Spine CT — Sagittal slice 160/369 — scan covers 18 annotated vertebrae
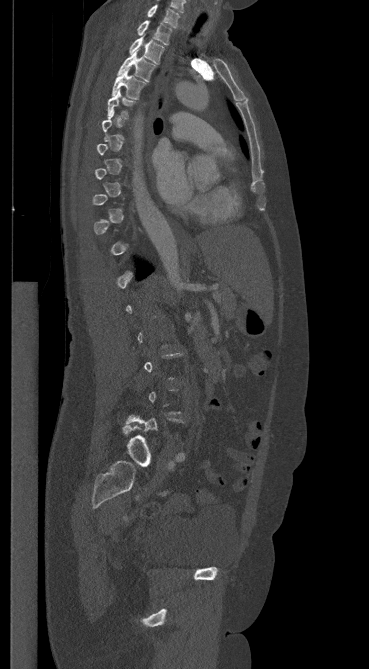
Each box is [x1, y1, x2, y2] in pixels: top-left corner, then bottom-right corner.
A vertebra is boxed only from the first to the last slice where its cross-section is at least a third of its largest; slices outside that range leave it without a box.
{"vertebrae":{"C7":[147,4,179,28],"T1":[137,20,171,44],"T2":[129,37,164,63],"T3":[118,51,155,81],"T4":[112,68,146,99],"T5":[107,89,134,117]}}